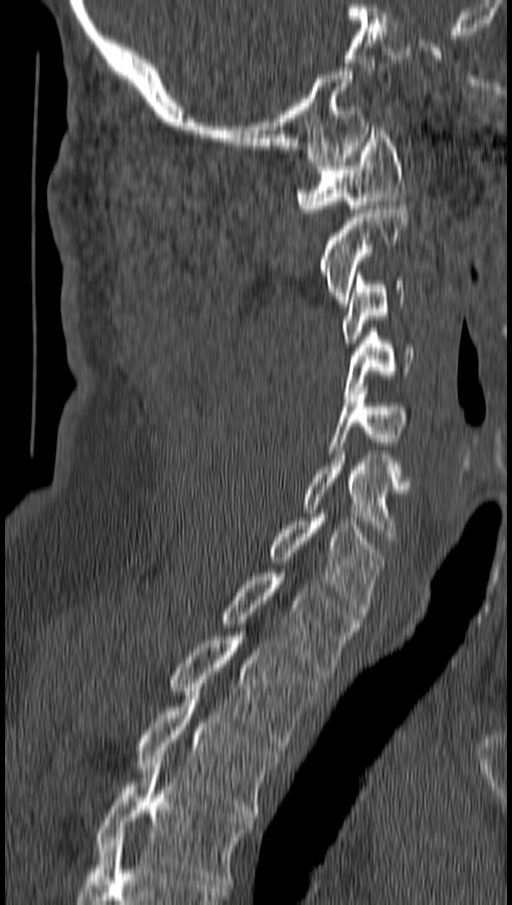
CT; sagittal view; Bone window (WL 400, WW 1800); 512x905 px
Each box given as x1,y1,x2,y2.
Vertebra bounding boxes:
- T4: x1=96, y1=759, x2=253, y2=888
- T3: x1=137, y1=691, x2=281, y2=817
- T2: x1=169, y1=632, x2=319, y2=750
- T1: x1=219, y1=573, x2=360, y2=675
- C7: x1=267, y1=514, x2=386, y2=615
- C6: x1=304, y1=454, x2=409, y2=544
- C5: x1=327, y1=387, x2=408, y2=453
- C4: x1=346, y1=328, x2=413, y2=398
- C3: x1=342, y1=277, x2=405, y2=343
- C2: x1=317, y1=201, x2=408, y2=307
- C1: x1=295, y1=122, x2=405, y2=216